Spine CT · sagittal view
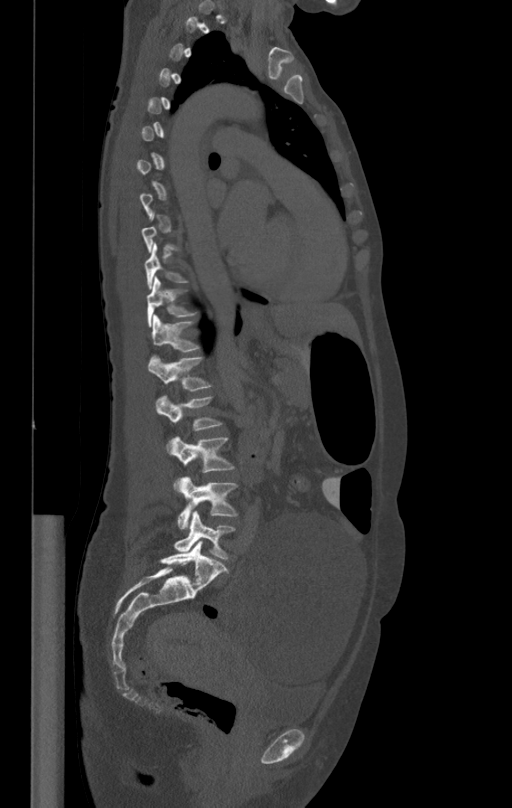

Box edges are left/top/right/bottom in pixels.
Not every vertebra on this slice has a box: a vertebra is boxed only from the first to the last slice where its cross-section is at least a third of its largest, and this slice is outside that range for at least one of them.
T10: left=144, top=244, right=189, bottom=289
T11: left=147, top=277, right=198, bottom=327
T12: left=151, top=314, right=200, bottom=351
L1: left=149, top=356, right=213, bottom=390
L2: left=155, top=395, right=223, bottom=453
L3: left=173, top=436, right=235, bottom=491
L4: left=178, top=476, right=237, bottom=529
L5: left=174, top=510, right=235, bottom=559